Spine computed tomography. Sagittal slice 200/427. bone-window reconstruction. 427x472 px
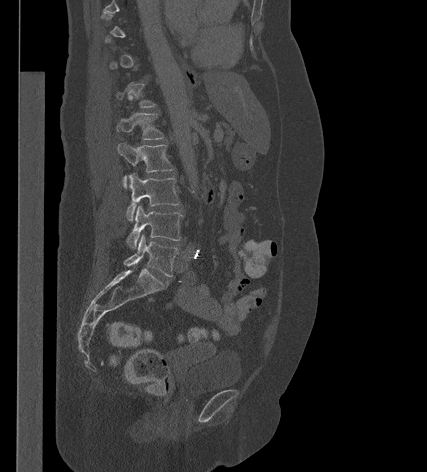 Each box is [x1, y1, x2, y2] in pixels: top-left corner, then bottom-right corner.
Each vertebra is boxed only on the slices from the first to the last where its cross-section reaches a third of its largest, so a slice outside that range leaves it unboxed.
{"vertebrae":{"T12":[115,82,155,107],"L1":[116,113,164,140],"L2":[117,142,174,187],"L3":[126,173,179,221],"L4":[126,205,182,248],"L5":[124,235,178,276]}}